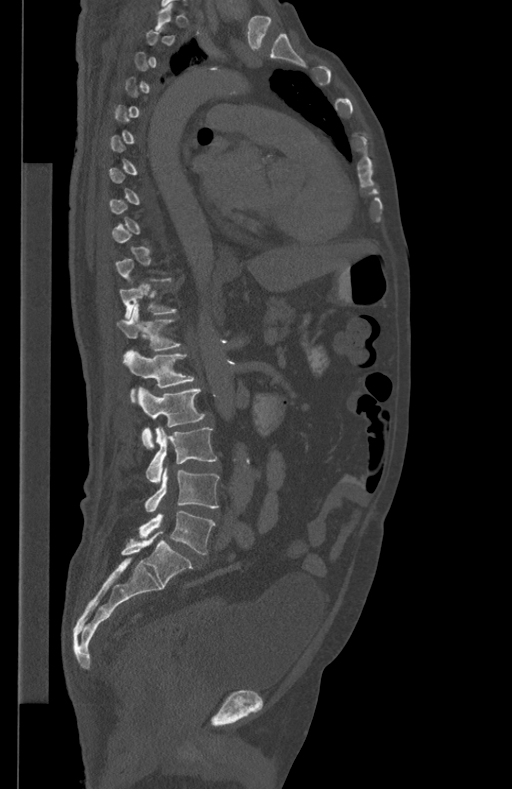

CT, spine; sagittal view. Boxes: x1:y1:x2:y2 in pixels.
A vertebra is boxed only from the first to the last slice where its cross-section is at least a third of its largest; slices outside that range leave it without a box.
Vertebra bounding boxes:
- T11: 119:288:176:319
- T12: 117:304:181:350
- L1: 124:350:194:401
- L2: 138:386:205:448
- L3: 146:427:217:482
- L4: 145:468:220:512
- L5: 139:511:215:554